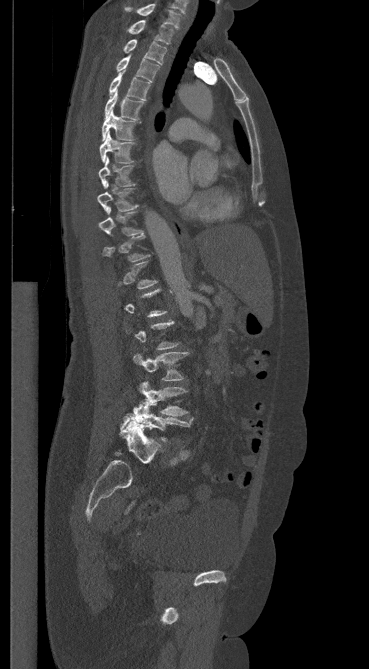
Computed tomography of the spine; sagittal view; 369x669 px

Boxes are (x1, y1, x2, y2) in pixels. Each vertebra is boxed only on the slices from the first to the last where its cross-section reaches a third of its largest, so a slice outside that range leaves it unboxed. The labeled vertebrae in this slice are: C7 at (125, 4, 180, 28), T1 at (127, 20, 173, 44), T2 at (123, 39, 166, 64), T3 at (116, 55, 159, 81), T4 at (109, 69, 150, 100), T5 at (104, 90, 143, 120), T6 at (102, 110, 140, 141), T7 at (99, 132, 133, 163), T8 at (98, 157, 135, 187), T9 at (97, 181, 137, 212), T10 at (98, 207, 142, 236), L3 at (133, 352, 187, 380), L4 at (138, 382, 187, 416), L5 at (122, 399, 193, 442).